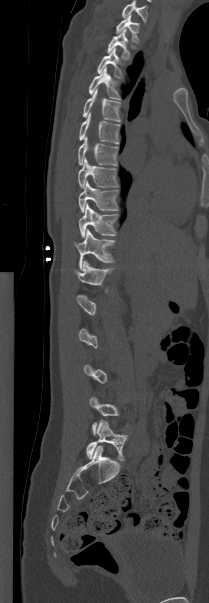

CT — sagittal view

Each box given as x1,y1,x2,y2.
A vertebra is boxed only from the first to the last slice where its cross-section is at least a third of its largest; slices outside that range leave it without a box.
In this scan, the topmost labeled vertebra is T1 and the lowest is L5.
Vertebra bounding boxes:
- T1: x1=116, y1=15, x2=139, y2=43
- T2: x1=107, y1=29, x2=130, y2=59
- T3: x1=97, y1=48, x2=122, y2=78
- T4: x1=88, y1=67, x2=119, y2=99
- T5: x1=82, y1=89, x2=121, y2=121
- T6: x1=79, y1=112, x2=119, y2=143
- T7: x1=78, y1=137, x2=117, y2=165
- T8: x1=78, y1=158, x2=118, y2=188
- T9: x1=78, y1=181, x2=118, y2=212
- T10: x1=78, y1=204, x2=117, y2=237
- T11: x1=74, y1=229, x2=115, y2=269
- T12: x1=75, y1=261, x2=113, y2=292
- L5: x1=86, y1=420, x2=127, y2=460